CT — the image spans 391 mm across — sagittal view — 512x824 px — scan covers 17 annotated vertebrae
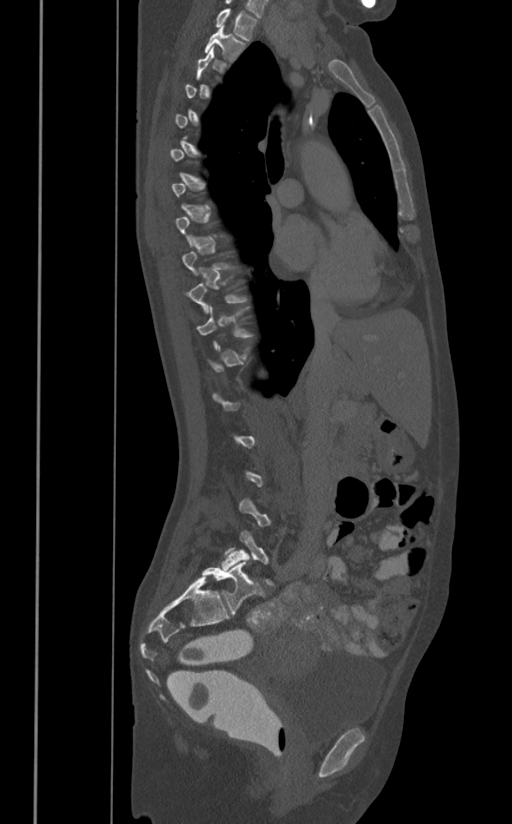

Box values are [left, top, right, bottom] in pixels.
A vertebra is boxed only from the first to the last slice where its cross-section is at least a third of its largest; slices outside that range leave it without a box.
{"vertebrae":{"T1":[215,8,258,40],"T2":[205,25,246,61],"L5":[221,530,274,586]}}